Computed tomography of the spine; sagittal view; Bone window (WL 400, WW 1800)
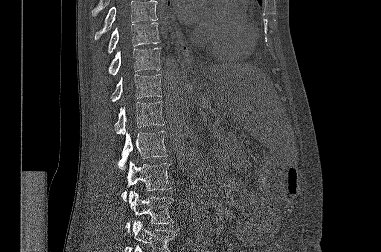

Boxes: x1:y1:x2:y2 in pixels.
No box is given to a vertebra that the top or bottom edge of the scan cuts off.
Vertebra bounding boxes:
- T9: 108:22:159:53
- T10: 108:48:160:75
- T11: 111:74:161:102
- T12: 114:101:164:135
- L1: 118:131:167:170
- L2: 121:160:171:201
- L3: 125:191:173:232